CT, spine · Sagittal slice 259/512 · bone-window reconstruction · scan covers 8 annotated vertebrae
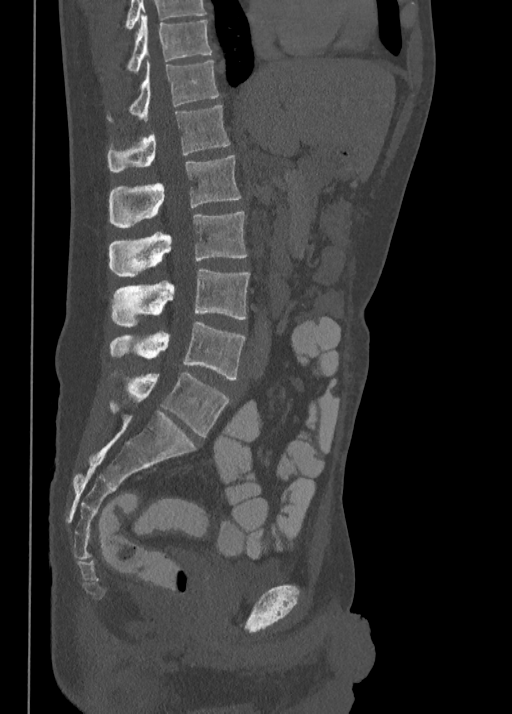 Boxes are (x1, y1, x2, y2) in pixels.
Vertebra bounding boxes:
- T10: (127, 14, 212, 71)
- T11: (107, 59, 218, 121)
- T12: (107, 105, 230, 171)
- L1: (108, 155, 240, 227)
- L2: (109, 211, 246, 277)
- L3: (111, 269, 249, 327)
- L4: (109, 321, 245, 379)
- L5: (109, 371, 230, 436)